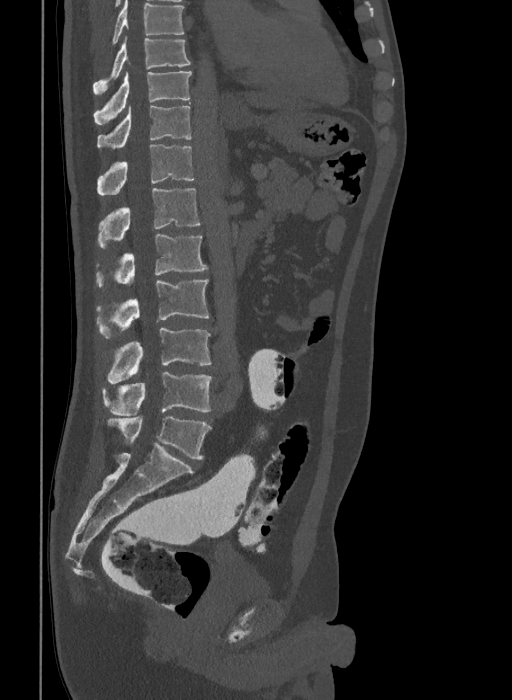 CT spine — 409 mm image width — sagittal view
Each box given as x1,y1,x2,y2.
The highest labeled vertebra in this scan is T9; the lowest is L6.
The labels name a sixth lumbar vertebra for this spine: L6, after L5.
| vertebra | x1 | y1 | x2 | y2 |
|---|---|---|---|---|
| T9 | 93 | 36 | 190 | 94 |
| T10 | 94 | 71 | 192 | 124 |
| T11 | 98 | 105 | 192 | 149 |
| T12 | 98 | 144 | 194 | 195 |
| L1 | 99 | 188 | 200 | 248 |
| L2 | 96 | 234 | 208 | 287 |
| L3 | 96 | 279 | 209 | 338 |
| L4 | 108 | 328 | 210 | 383 |
| L5 | 103 | 372 | 212 | 415 |
| L6 | 109 | 416 | 210 | 459 |